CT, spine · sagittal view · image 197 mm wide · bone-window reconstruction · 197x180 px · an area of the scan was removed and filled with constant pixels
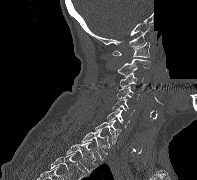

Boxes: x1 y1 x2 y2 (pixel coords, space-separated).
C1: 112 42 149 58
C2: 117 59 150 76
C3: 119 73 143 88
C4: 116 86 139 99
C5: 112 99 134 114
C6: 107 110 129 128
C7: 94 120 122 144
T1: 81 129 109 160
T2: 66 142 98 173